CT, spine. sagittal reformat. bone-window reconstruction
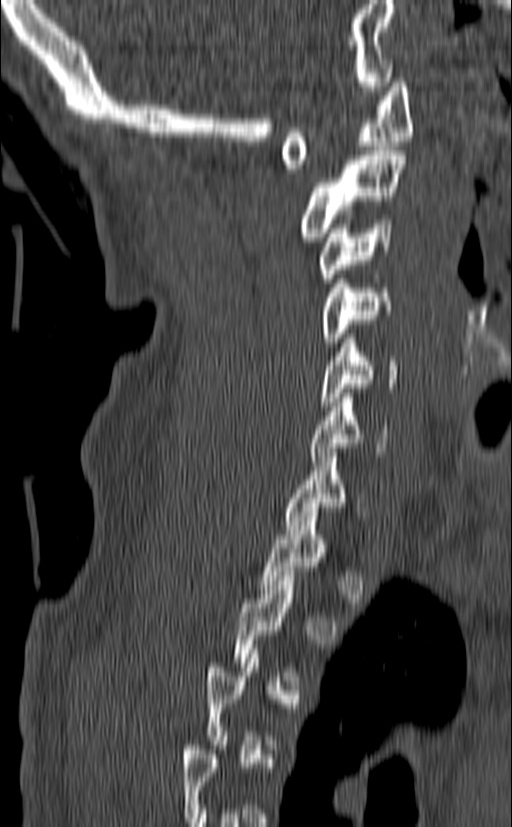

Bounding boxes as [x1, y1, x2, y2] in pixel coordinates.
Not every vertebra on this slice has a box: a vertebra is boxed only from the first to the last slice where its cross-section is at least a third of its largest, and this slice is outside that range for at least one of them.
C7: [283, 448, 362, 534]
C6: [309, 393, 388, 461]
C5: [319, 334, 399, 406]
C4: [320, 265, 393, 346]
C3: [320, 219, 392, 282]
C2: [298, 146, 407, 241]
C1: [281, 78, 412, 173]